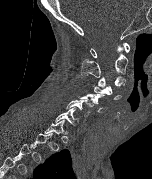 CT spine · sagittal view · W/L 1800/400 HU
Coordinates as <box>x1,y1,x2,y2</box>.
A vertebra is boxed only from the first to the last slice where its cross-section is at least a third of its largest; slices outside that range leave it without a box.
C7: <box>55,107,79,125</box>
C6: <box>65,100,93,117</box>
C5: <box>78,94,107,112</box>
C4: <box>94,86,121,101</box>
C3: <box>98,76,125,88</box>
C2: <box>81,46,128,77</box>
C1: <box>90,42,130,57</box>